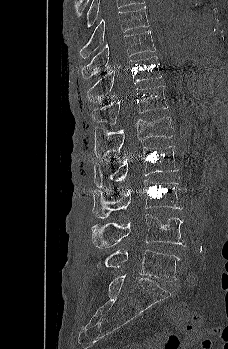 Spine CT — sagittal view — bone window — 228x349 px

Boxes below are [x1, y1, x2, y2] in pixels.
{"vertebrae":{"T9":[79,7,149,58],"T10":[81,30,156,80],"T11":[87,56,161,102],"T12":[91,85,168,124],"L1":[94,115,173,158],"L2":[94,145,179,188],"L3":[92,180,182,218],"L4":[91,214,186,248],"L5":[97,249,180,281]}}